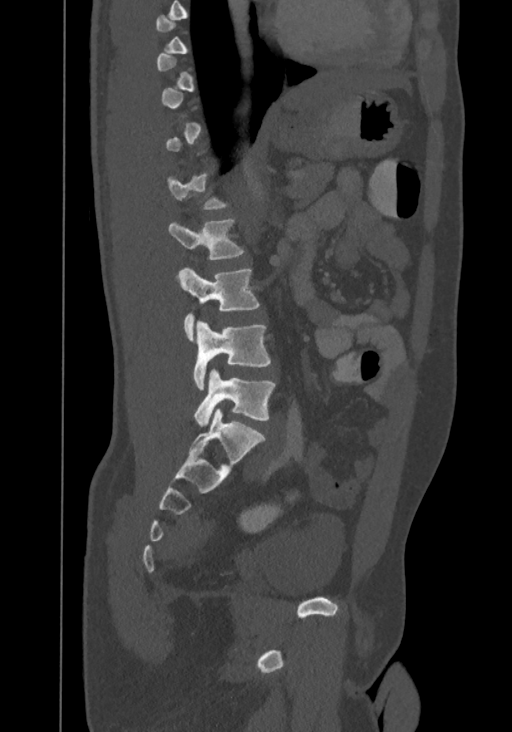

Spine computed tomography · sagittal view · bone window
Boxes are (x1, y1, x2, y2) in pixels.
A vertebra gets a box only on the slices from the first to the last where its cross-section is at least a third of its largest; on a slice outside that range it gets none.
This scan's labels start at T8 at the top and end at L4 at the bottom.
Vertebra bounding boxes:
- T12: (167, 173, 229, 210)
- L1: (169, 218, 244, 260)
- L2: (177, 266, 260, 341)
- L3: (194, 320, 271, 389)
- L4: (194, 369, 275, 426)